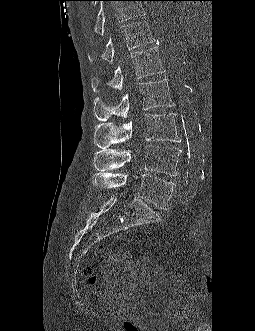

CT, spine — sagittal view
Each vertebra maps to its box as [x1, y1, x2, y2], the pixel coordinates of its top-left and bottom-right corners.
Vertebrae that run past the top of the scan are left unlabeled.
{"vertebrae":{"T12":[88,20,154,64],"L1":[91,40,165,92],"L2":[93,78,174,121],"L3":[94,113,180,148],"L4":[93,145,181,176],"L5":[92,172,175,209]}}